Computed tomography of the spine; sagittal view; 9 vertebrae labeled in this scan
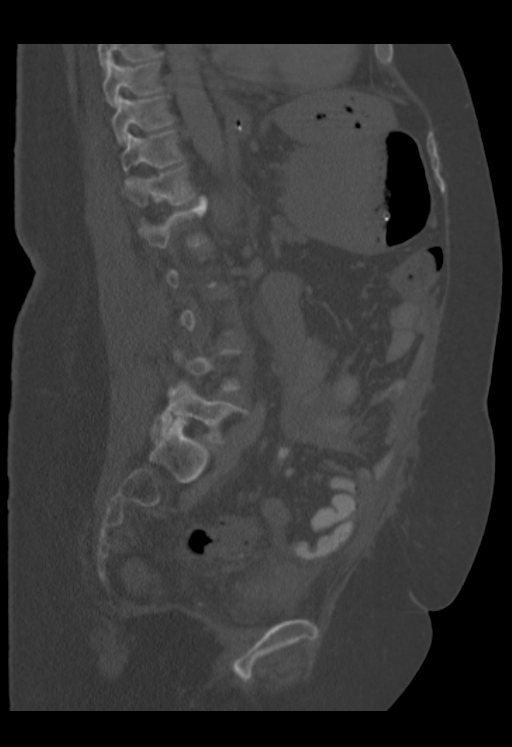
Coordinates as <box>x1,y1,x2,y2</box>. Each vertebra is boxed only on the slices from the first to the last where its cross-section reaches a third of its largest, so a slice outside that range leaves it unboxed. Labels in this scan begin with T9 at the top and end with L5 at the bottom. The labeled vertebrae in this slice are: L5 at <box>167,382,247,443</box>, L1 at <box>139,195,207,247</box>, T12 at <box>124,166,195,206</box>, T11 at <box>121,130,182,171</box>, T10 at <box>112,96,172,143</box>, T9 at <box>103,55,162,107</box>.